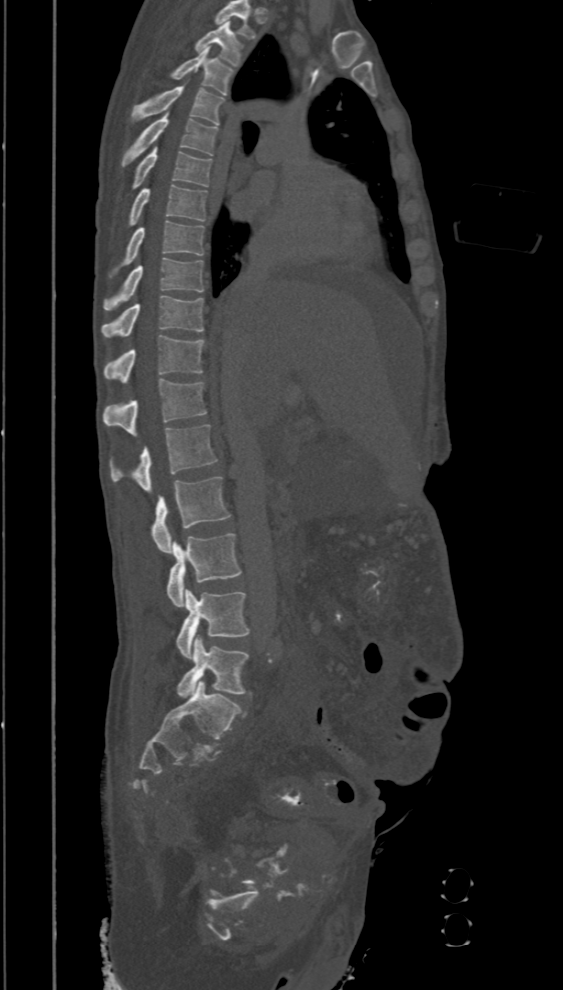
Computed tomography of the spine. sagittal view. 563x990 px
Box values are [left, top, right, bottom] in pixels.
This scan's labels start at T2 at the top and end at L5 at the bottom.
{"vertebrae":{"T2":[195,22,243,66],"T3":[168,47,233,95],"T4":[131,86,224,125],"T5":[121,112,218,165],"T6":[133,146,211,188],"T7":[129,185,206,225],"T8":[109,220,203,275],"T9":[103,257,203,309],"T10":[101,295,203,336],"T11":[103,335,205,382],"T12":[102,379,206,435],"L1":[110,425,218,491],"L2":[152,476,230,554],"L3":[167,533,242,607],"L4":[176,589,251,659],"L5":[176,636,249,697]}}